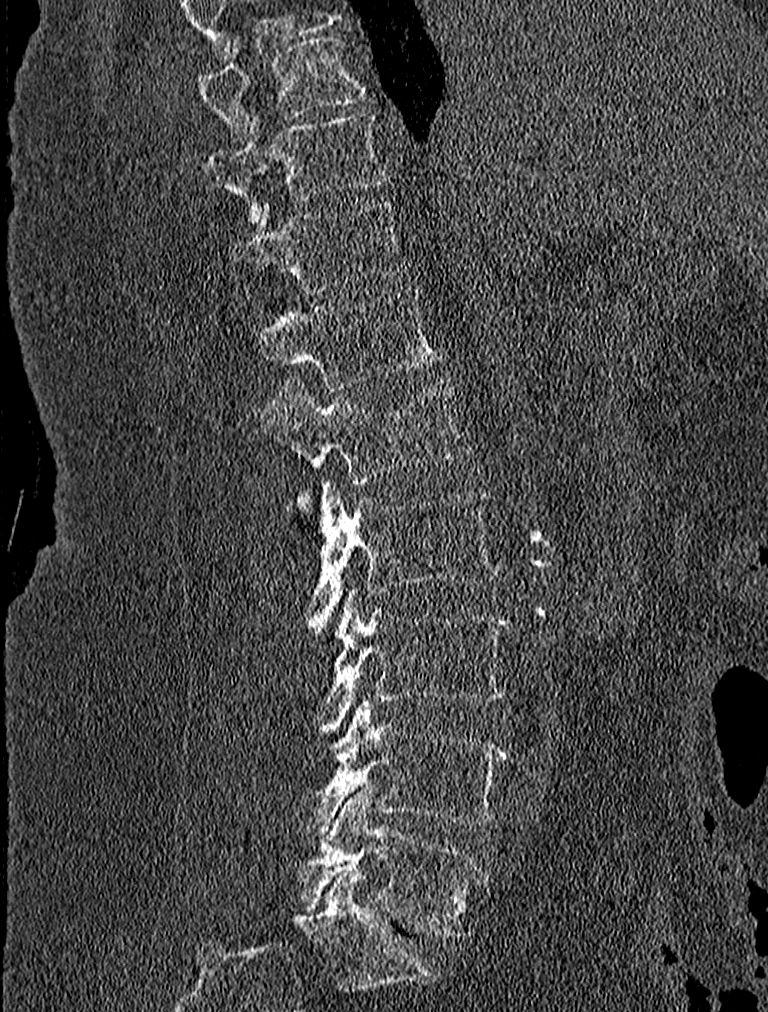

CT; sagittal view; W/L 1800/400 HU; 768x1012 px. Box edges are left/top/right/bottom in pixels.
Vertebra bounding boxes:
- L5: left=300, top=787, right=485, bottom=938
- L4: left=295, top=699, right=509, bottom=839
- L3: left=320, top=589, right=509, bottom=728
- L2: left=310, top=481, right=499, bottom=629
- L1: left=260, top=379, right=471, bottom=512
- T12: left=253, top=288, right=441, bottom=392
- T11: left=228, top=199, right=407, bottom=293
- T10: left=205, top=111, right=390, bottom=221
- T9: left=195, top=33, right=367, bottom=142